CT · sagittal reformat · W/L 1800/400 HU
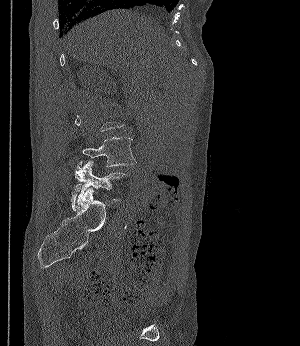 Each box given as x1,y1,x2,y2. A vertebra gets a box only on the slices from the first to the last where its cross-section is at least a third of its largest; on a slice outside that range it gets none. Vertebrae labeled: L4 at x1=82, y1=137, x2=136, y2=166, L5 at x1=74, y1=161, x2=128, y2=201.